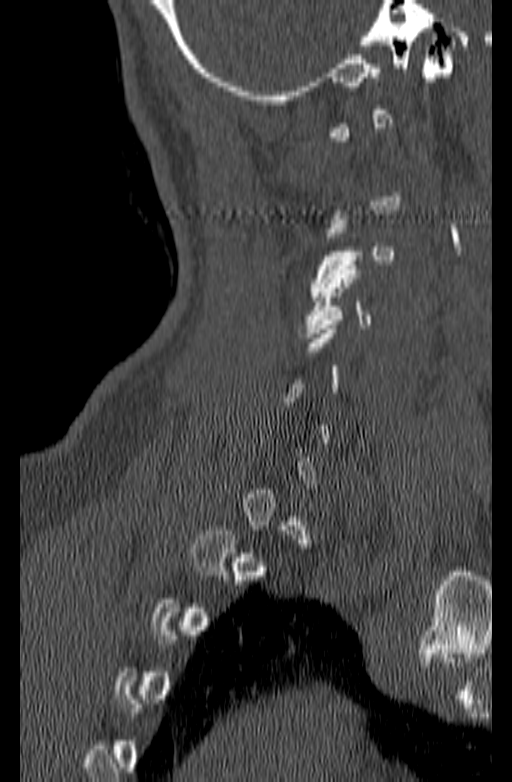 Spine computed tomography; image 140 mm wide; sagittal view
Box edges are left/top/right/bottom in pixels.
Each vertebra is boxed only on the slices from the first to the last where its cross-section reaches a third of its largest, so a slice outside that range leaves it unboxed.
| vertebra | x1 | y1 | x2 | y2 |
|---|---|---|---|---|
| C4 | 299 | 265 | 370 | 337 |
| C3 | 308 | 215 | 395 | 296 |